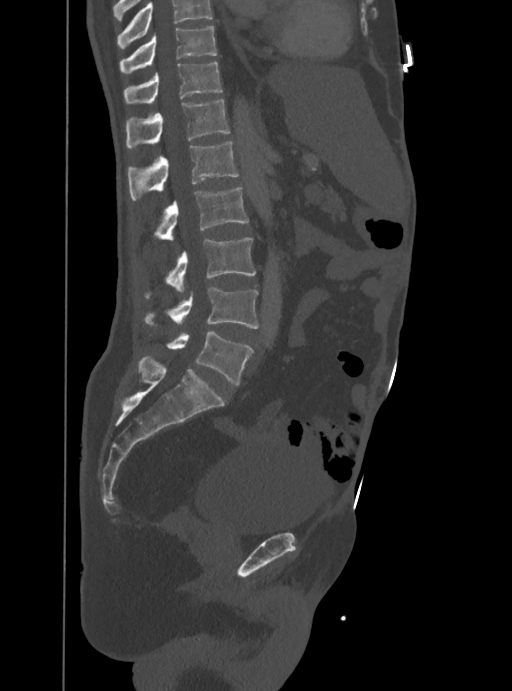 Spine computed tomography; sagittal view; Bone window (WL 400, WW 1800); 512x691 px
Box edges are left/top/right/bottom in pixels. Where the top of the scan cuts through a vertebra, that vertebra gets no label or box. The labeled vertebrae in this slice are: L5 at left=165, top=331, right=251, bottom=384, L4 at left=144, top=287, right=259, bottom=329, L3 at left=144, top=238, right=255, bottom=298, L2 at left=152, top=188, right=248, bottom=240, L1 at left=128, top=141, right=238, bottom=201, T12 at left=125, top=99, right=230, bottom=150, T11 at left=124, top=62, right=222, bottom=104, T10 at left=120, top=26, right=217, bottom=73.